Spine CT · sagittal reformat
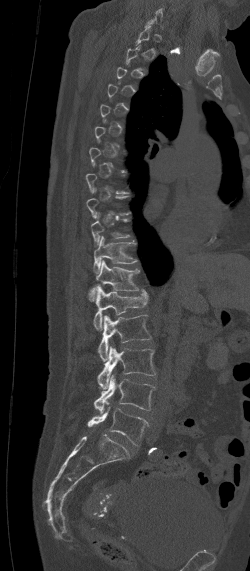 Each vertebra is boxed only on the slices from the first to the last where its cross-section reaches a third of its largest, so a slice outside that range leaves it unboxed.
<vertebrae><v name="T11" x1="93" y1="236" x2="137" y2="274"/><v name="T12" x1="86" y1="260" x2="140" y2="302"/><v name="L1" x1="93" y1="287" x2="147" y2="329"/><v name="L2" x1="98" y1="314" x2="151" y2="361"/><v name="L3" x1="97" y1="346" x2="155" y2="389"/><v name="L4" x1="93" y1="374" x2="155" y2="413"/><v name="L5" x1="87" y1="406" x2="148" y2="444"/></vertebrae>